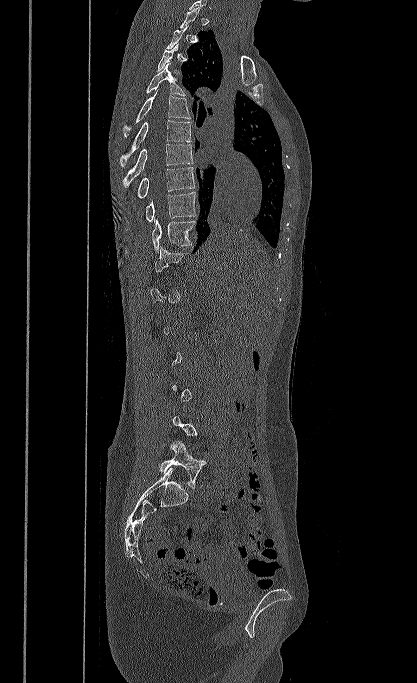

Spine CT — sagittal view — the image is 417 mm wide — W/L 1800/400 HU — 417x683 px. In the table, x1 and y1 are a box's top-left corner and x2 and y2 its bottom-right corner, in pixels.
A vertebra is boxed only from the first to the last slice where its cross-section is at least a third of its largest; slices outside that range leave it without a box.
| vertebra | x1 | y1 | x2 | y2 |
|---|---|---|---|---|
| T3 | 157 | 44 | 179 | 73 |
| T4 | 146 | 63 | 185 | 95 |
| T5 | 123 | 90 | 190 | 137 |
| T6 | 120 | 120 | 191 | 166 |
| T7 | 122 | 144 | 193 | 188 |
| T8 | 137 | 167 | 195 | 198 |
| T9 | 146 | 191 | 197 | 222 |
| T10 | 152 | 218 | 196 | 252 |
| T11 | 155 | 247 | 189 | 272 |
| L5 | 159 | 441 | 206 | 488 |